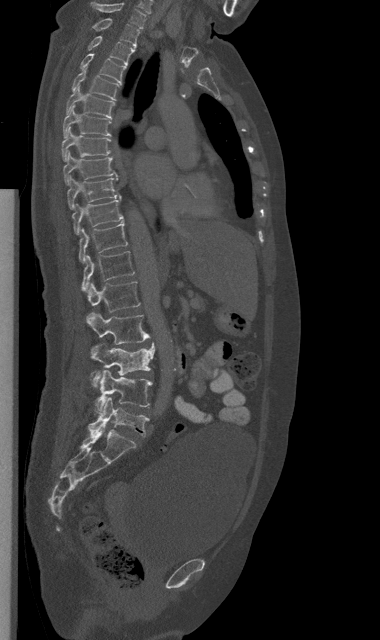

Spine CT · sagittal view · 380x640 px. In the table, x1 and y1 are a box's top-left corner and x2 and y2 its bottom-right corner, in pixels.
| vertebra | x1 | y1 | x2 | y2 |
|---|---|---|---|---|
| L5 | 88 | 397 | 148 | 437 |
| L4 | 95 | 370 | 152 | 413 |
| L3 | 91 | 343 | 154 | 388 |
| L2 | 87 | 312 | 150 | 344 |
| L1 | 87 | 281 | 140 | 312 |
| T12 | 82 | 251 | 134 | 291 |
| T11 | 78 | 222 | 127 | 262 |
| T10 | 72 | 198 | 124 | 234 |
| T9 | 67 | 176 | 122 | 209 |
| T8 | 63 | 152 | 117 | 184 |
| T7 | 61 | 127 | 110 | 161 |
| T6 | 63 | 106 | 111 | 139 |
| T5 | 66 | 86 | 114 | 118 |
| T4 | 72 | 68 | 119 | 100 |
| T3 | 80 | 53 | 125 | 84 |
| T2 | 88 | 35 | 134 | 65 |
| T1 | 92 | 18 | 139 | 47 |
| C7 | 88 | 2 | 145 | 28 |